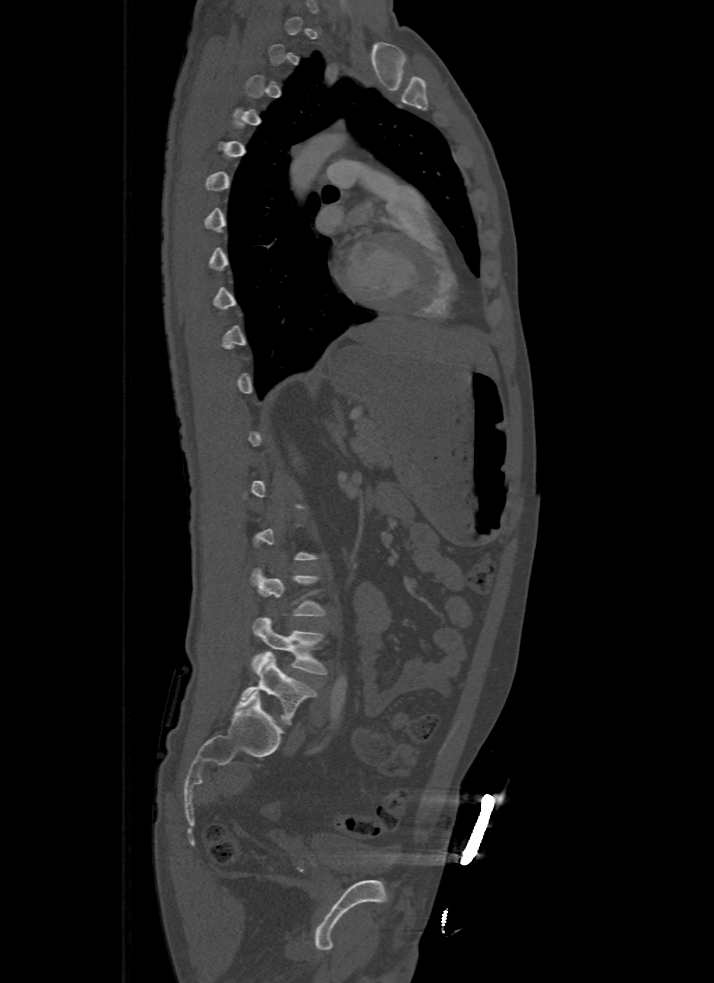 CT, spine — sagittal view — 714x983 px — 500 mm across the image
Bounding boxes as [x1, y1, x2, y2] in pixel coordinates.
Each vertebra is boxed only on the slices from the first to the last where its cross-section reaches a third of its largest, so a slice outside that range leaves it unboxed.
L4: [251, 618, 325, 674]
L5: [240, 652, 316, 724]